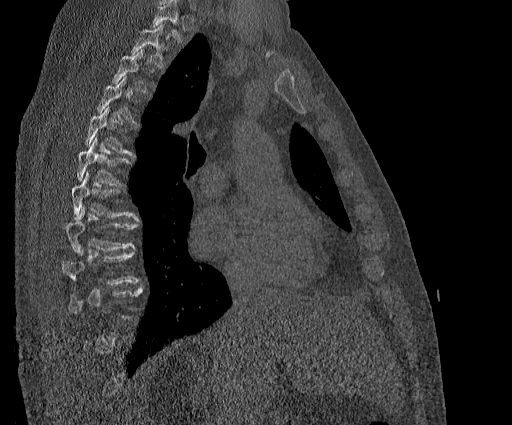

Spine computed tomography — sagittal reformat — 384 mm wide. Boxes: x1 y1 x2 y2 (pixel coords, space-separated).
A vertebra is boxed only from the first to the last slice where its cross-section is at least a third of its largest; slices outside that range leave it without a box.
Vertebrae that run past the top of the scan are left unlabeled.
T2: 131 25 167 67
T3: 113 48 147 92
T5: 85 105 136 156
T6: 77 137 132 186
T7: 72 172 139 220
T8: 65 208 138 254
T9: 61 248 139 284